Spine computed tomography — sagittal reformat — W/L 1800/400 HU
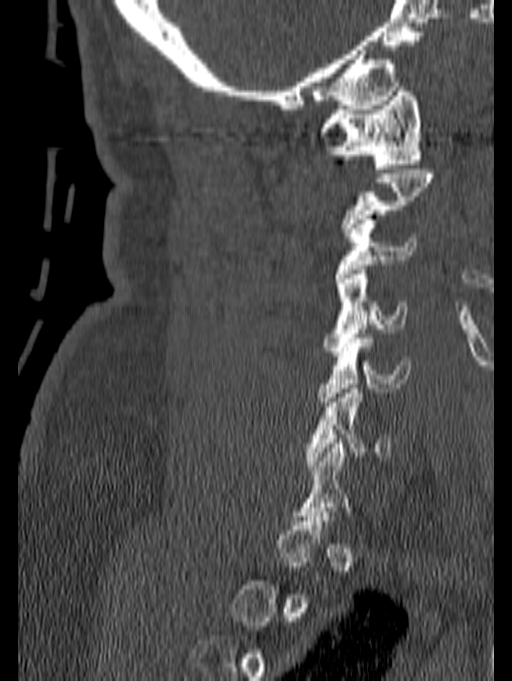
Bounding boxes as [x1, y1, x2, y2] in pixel coordinates. Each vertebra is boxed only on the slices from the first to the last where its cross-section reaches a third of its largest, so a slice outside that range leaves it unboxed. 5 vertebrae labeled — C1 at [317, 87, 423, 168]; C3 at [334, 219, 418, 282]; C4 at [323, 270, 407, 356]; C5 at [317, 334, 410, 406]; C6 at [305, 384, 390, 470].